CT, spine. sagittal view. 218x613 px
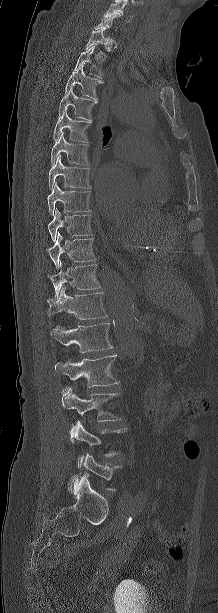

Boxes: x1:y1:x2:y2 in pixels.
Labels in this scan begin with C7 at the top and end with L5 at the bottom.
Vertebra bounding boxes:
- C7: 93:13:120:30
- T1: 84:28:112:50
- T2: 73:46:103:79
- T3: 64:65:103:99
- T4: 58:86:97:121
- T5: 53:108:91:142
- T6: 50:131:88:165
- T7: 48:155:91:189
- T8: 47:182:90:215
- T9: 48:208:91:241
- T10: 46:233:95:267
- T11: 50:261:100:300
- T12: 47:286:107:319
- L1: 51:323:112:352
- L2: 55:354:119:387
- L3: 62:387:120:421
- L4: 69:420:127:467
- L5: 68:453:120:492